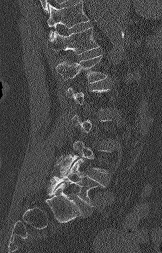
Spine CT. 162 mm wide. sagittal view. 162x253 px
Boxes: x1:y1:x2:y2 in pixels.
A vertebra gets a box only on the slices from the first to the last where its cross-section is at least a third of its largest; on a slice outside that range it gets none.
No box is given to a vertebra that the top edge of the scan cuts off.
T12: 47:27:99:54
L1: 56:55:107:83
L4: 60:140:107:176
L5: 48:156:103:206